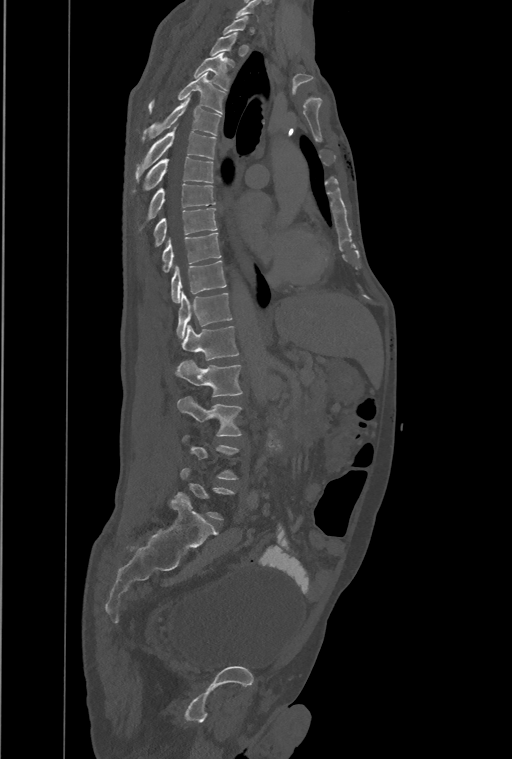 CT spine. sagittal view. bone window. 512x759 px

Boxes are (x1, y1, x2, y2) in pixels.
A vertebra gets a box only on the slices from the first to the last where its cross-section is at least a third of its largest; on a slice outside that range it gets none.
These labels give the spine a thirteenth thoracic vertebra: T13 sits between T12 and L1.
Vertebra bounding boxes:
- T3: (194, 54, 227, 89)
- T4: (148, 72, 224, 113)
- T5: (142, 96, 221, 141)
- T6: (135, 125, 215, 180)
- T7: (133, 157, 213, 193)
- T8: (138, 184, 215, 230)
- T9: (153, 208, 217, 247)
- T10: (162, 232, 221, 273)
- T11: (171, 260, 226, 303)
- T12: (176, 292, 232, 338)
- T13: (182, 325, 238, 360)
- L1: (176, 360, 242, 396)
- L2: (177, 396, 242, 436)